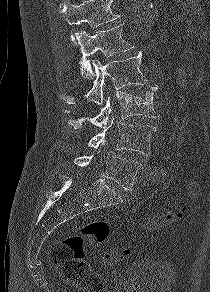

Spine computed tomography — sagittal reformat — Bone window (WL 400, WW 1800) — 210x292 px

Coordinates as <box>x1,y1,x2,y2</box>. A vertebra cut off by the top edge of the scan is not labeled and has no box. 5 vertebrae labeled — L1 at <box>75,24,134,78</box>; L2 at <box>59,51,146,104</box>; L3 at <box>64,86,159,128</box>; L4 at <box>88,118,156,155</box>; L5 at <box>73,153,140,190</box>.